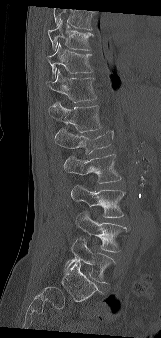

Spine CT; sagittal view
Where the top of the scan cuts through a vertebra, that vertebra gets no label or box.
<vertebrae><v name="T9" x1="47" y1="20" x2="93" y2="50"/><v name="T10" x1="47" y1="43" x2="93" y2="78"/><v name="T11" x1="46" y1="69" x2="97" y2="102"/><v name="T12" x1="48" y1="101" x2="101" y2="132"/><v name="L1" x1="55" y1="128" x2="113" y2="153"/><v name="L2" x1="64" y1="154" x2="121" y2="183"/><v name="L3" x1="71" y1="184" x2="125" y2="217"/><v name="L4" x1="75" y1="211" x2="127" y2="252"/><v name="L5" x1="63" y1="239" x2="115" y2="283"/></vertebrae>